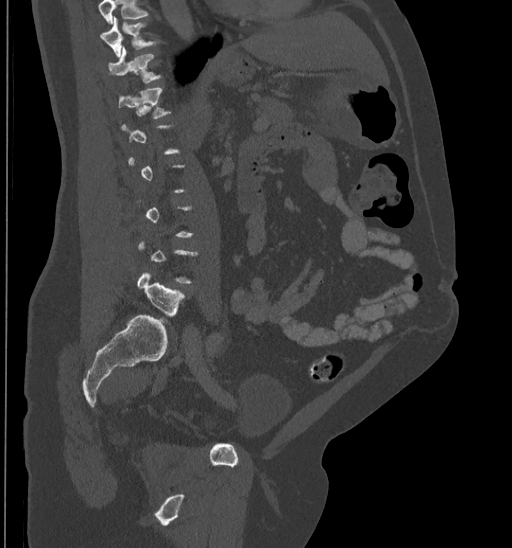
Computed tomography of the spine — sagittal view — W/L 1800/400 HU — 512x548 px. Bounding boxes as [x1, y1, x2, y2] in pixel coordinates.
Not every vertebra on this slice has a box: a vertebra is boxed only from the first to the last slice where its cross-section is at least a third of its largest, and this slice is outside that range for at least one of them.
Where the top of the scan cuts through a vertebra, that vertebra gets no label or box.
Vertebra bounding boxes:
- T10: [101, 16, 159, 57]
- T11: [108, 46, 163, 82]
- T12: [114, 87, 171, 119]
- L5: [138, 271, 186, 316]